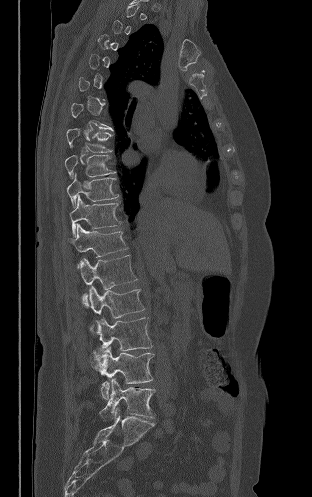 CT · sagittal reformat · Bone window (WL 400, WW 1800). Coordinates as <box>x1,y1,x2,y2</box>.
Not every vertebra on this slice has a box: a vertebra is boxed only from the first to the last slice where its cross-section is at least a third of its largest, and this slice is outside that range for at least one of them.
L5: <box>99,378,155,420</box>
L4: <box>91,346,154,399</box>
L3: <box>90,317,152,350</box>
L2: <box>88,285,144,318</box>
L1: <box>80,255,137,306</box>
T12: <box>68,223,127,267</box>
T11: <box>69,195,121,236</box>
T10: <box>67,173,118,207</box>
T9: <box>65,155,115,178</box>
T8: <box>66,128,111,152</box>